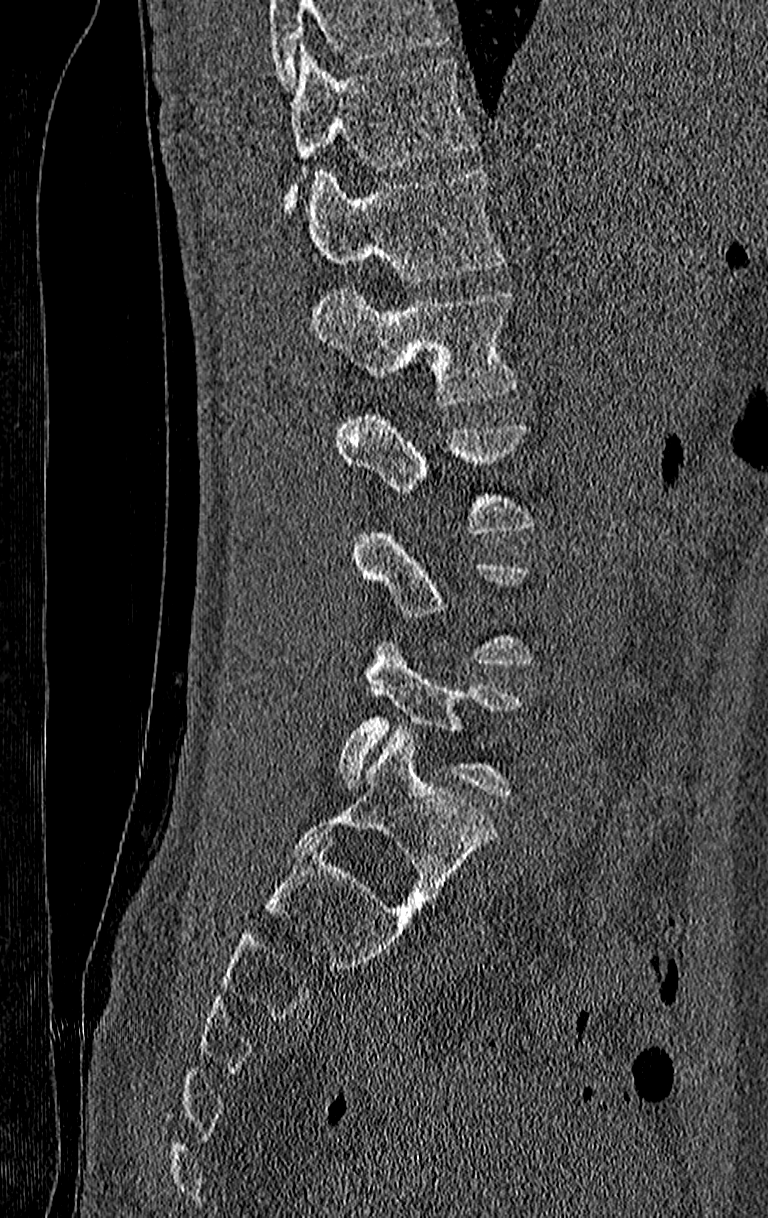 Spine computed tomography · sagittal view · bone-window reconstruction · 768x1218 px
Boxes below are [x1, y1, x2, y2] in pixels.
Each vertebra is boxed only on the slices from the first to the last where its cross-section reaches a third of its largest, so a slice outside that range leaves it unboxed.
No box is given to a vertebra that the top edge of the scan cuts off.
This scan's labels start at T11 at the top and end at L4 at the bottom.
{"vertebrae":{"T11":[286,48,477,210],"T12":[306,170,506,282],"L1":[310,290,517,405],"L2":[335,410,535,534],"L4":[339,640,521,797]}}